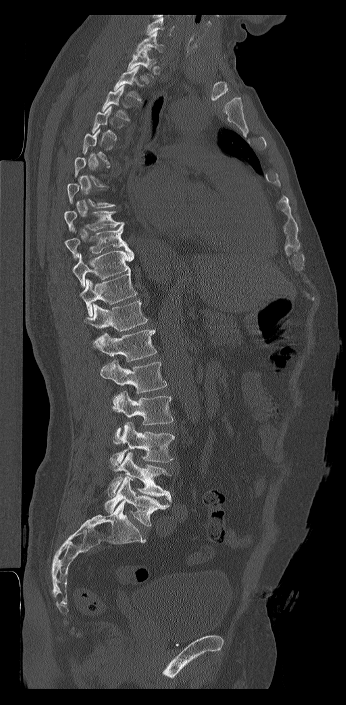

Spine CT; sagittal reformat; W/L 1800/400 HU; 346x705 px; image 346 mm wide
Each box is [x1, y1, x2, y2] in pixels: top-left corner, then bottom-right corner.
Not every vertebra on this slice has a box: a vertebra is boxed only from the first to the last slice where its cross-section is at least a third of its largest, and this slice is outside that range for at least one of them.
The highest labeled vertebra in this scan is C7; the lowest is L6.
The labels name a sixth lumbar vertebra for this spine: L6, after L5.
{"vertebrae":{"C7":[136,31,164,53],"T1":[127,47,156,77],"T2":[113,66,143,102],"T3":[101,85,130,121],"T8":[64,210,124,232],"T9":[64,224,127,259],"T10":[72,247,134,287],"T11":[80,272,137,316],"T12":[84,300,148,331],"L1":[92,328,157,361],"L2":[100,359,167,393],"L3":[112,391,173,443],"L4":[109,422,174,471],"L5":[108,451,171,501],"L6":[104,477,171,527]}}